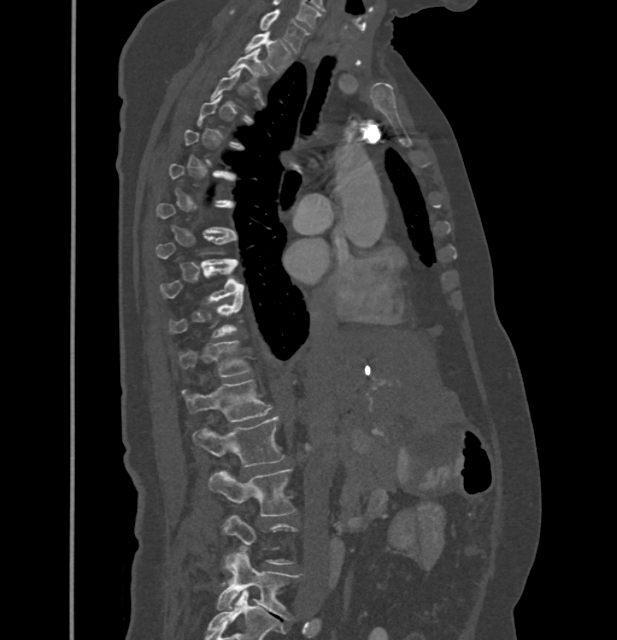

CT. sagittal reformat

Box edges are left/top/right/bottom in pixels.
A vertebra is boxed only from the first to the last slice where its cross-section is at least a third of its largest; slices outside that range leave it without a box.
These labels give this spine no T12: after T11 the next vertebra is L1.
| vertebra | x1 | y1 | x2 | y2 |
|---|---|---|---|---|
| C7 | 231 | 9 | 308 | 51 |
| T1 | 246 | 32 | 291 | 71 |
| T2 | 229 | 49 | 268 | 89 |
| T9 | 160 | 262 | 244 | 302 |
| T10 | 169 | 296 | 241 | 338 |
| T11 | 178 | 340 | 250 | 376 |
| L1 | 181 | 380 | 271 | 422 |
| L2 | 193 | 416 | 285 | 466 |
| L3 | 209 | 469 | 294 | 516 |
| L5 | 217 | 549 | 299 | 619 |